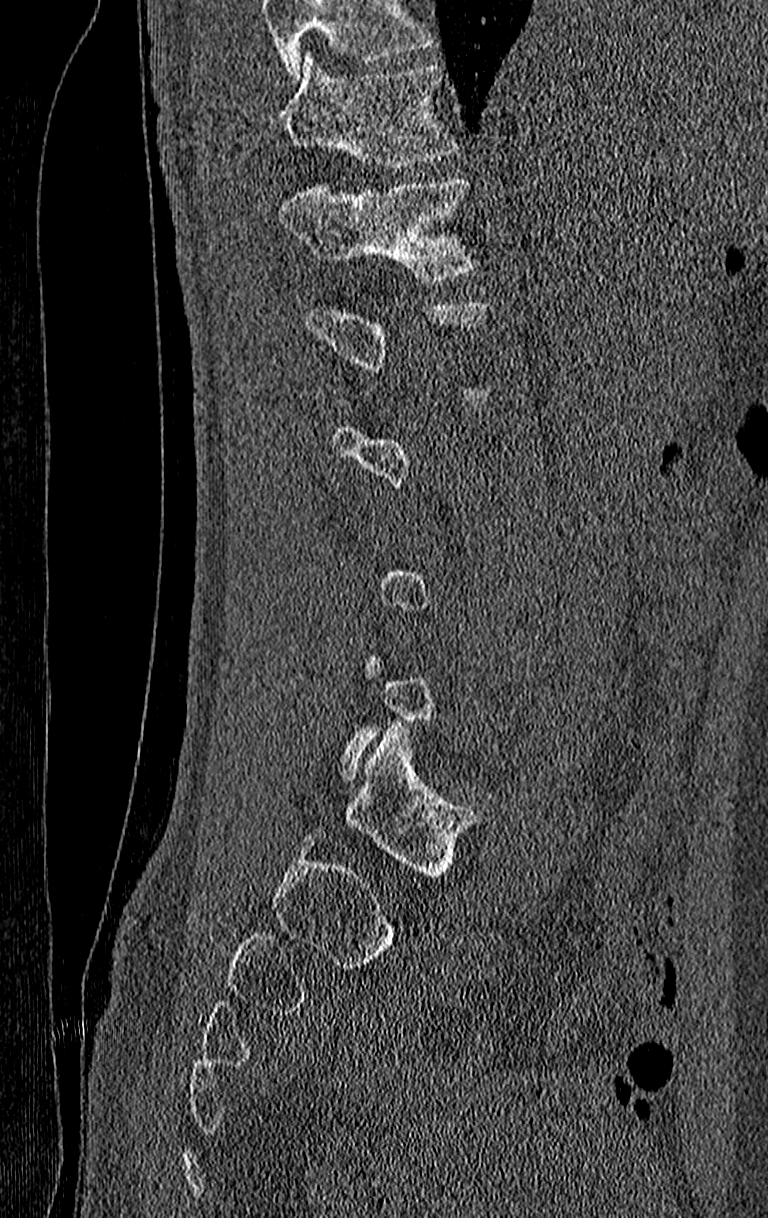

CT; sagittal reformat
Box edges are left/top/right/bottom in pixels.
Each vertebra is boxed only on the slices from the first to the last where its cross-section reaches a third of its largest, so a slice outside that range leaves it unboxed.
A vertebra cut off by the top edge of the scan is not labeled and has no box.
T11: left=280, top=53, right=458, bottom=169
T12: left=280, top=176, right=480, bottom=282